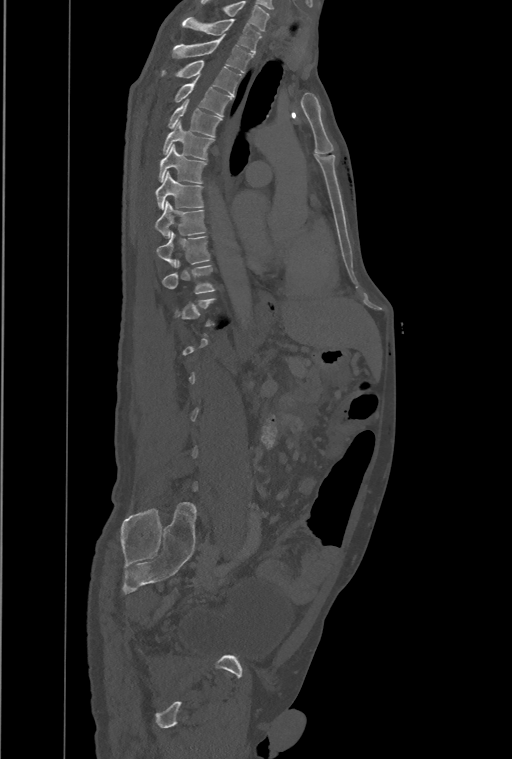

CT · sagittal view
Not every vertebra on this slice has a box: a vertebra is boxed only from the first to the last slice where its cross-section is at least a third of its largest, and this slice is outside that range for at least one of them.
The highest labeled vertebra in this scan is T1; the lowest is L4.
<vertebrae><v name="T1" x1="182" y1="17" x2="260" y2="54"/><v name="T2" x1="173" y1="35" x2="253" y2="73"/><v name="T3" x1="162" y1="60" x2="241" y2="95"/><v name="T4" x1="175" y1="77" x2="231" y2="116"/><v name="T5" x1="168" y1="99" x2="222" y2="136"/><v name="T6" x1="163" y1="121" x2="214" y2="159"/><v name="T7" x1="158" y1="145" x2="206" y2="183"/><v name="T8" x1="155" y1="171" x2="203" y2="209"/><v name="T9" x1="155" y1="201" x2="205" y2="237"/><v name="T10" x1="156" y1="231" x2="210" y2="266"/><v name="T11" x1="162" y1="260" x2="215" y2="294"/></vertebrae>